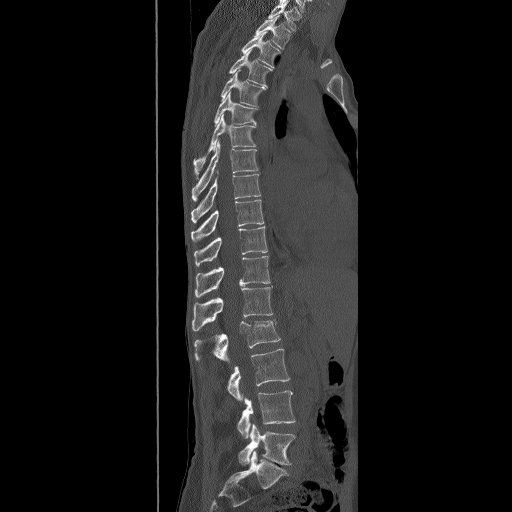

Spine CT · sagittal view
Boxes are given in columns x1, y1, x2, y2, the pixel coordinates of their top-left and bottom-right corners.
Labels in this scan begin with T2 at the top and end with L5 at the bottom.
| vertebra | x1 | y1 | x2 | y2 |
|---|---|---|---|---|
| L5 | 238 | 424 | 295 | 465 |
| L4 | 236 | 390 | 295 | 438 |
| L3 | 227 | 349 | 290 | 401 |
| L2 | 194 | 318 | 280 | 361 |
| L1 | 192 | 286 | 273 | 331 |
| T12 | 195 | 255 | 270 | 297 |
| T11 | 194 | 225 | 268 | 266 |
| T10 | 190 | 199 | 264 | 241 |
| T9 | 190 | 171 | 260 | 223 |
| T8 | 192 | 140 | 258 | 202 |
| T7 | 193 | 114 | 256 | 179 |
| T6 | 214 | 91 | 257 | 126 |
| T5 | 220 | 69 | 266 | 107 |
| T4 | 228 | 50 | 272 | 87 |
| T3 | 241 | 31 | 281 | 68 |
| T2 | 254 | 15 | 292 | 49 |